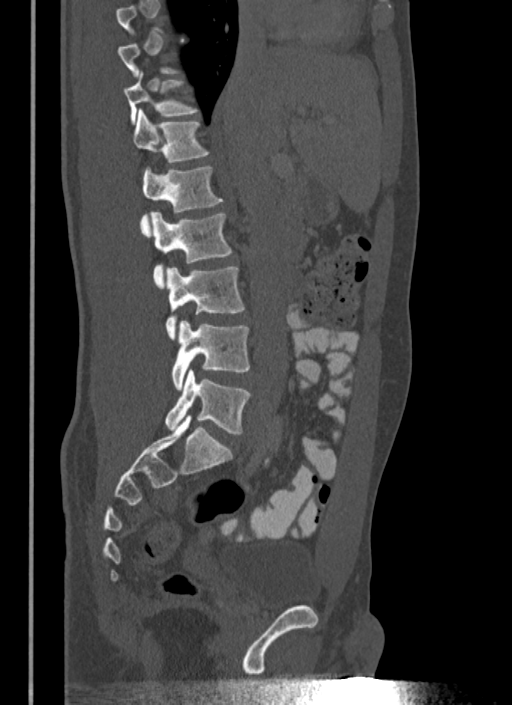 Spine CT; sagittal view; W/L 1800/400 HU. Boxes: x1:y1:x2:y2 in pixels.
A vertebra is boxed only from the first to the last slice where its cross-section is at least a third of its largest; slices outside that range leave it without a box.
T11: 125:71:199:124
T12: 132:110:210:162
L1: 141:166:223:235
L2: 152:212:232:288
L3: 165:267:244:339
L4: 171:321:250:389
L5: 165:369:250:434